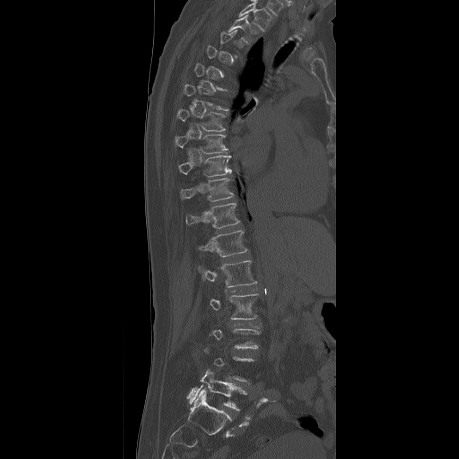
CT, spine · sagittal view · Bone window (WL 400, WW 1800) · 459x459 px
Each row gives a vertebra's box as x1, y1, x2, y2 in pixels: top-left corner, then bottom-right corner.
A vertebra gets a box only on the slices from the first to the last where its cross-section is at least a third of its largest; on a slice outside that range it gets none.
In this scan, the topmost labeled vertebra is T2 and the lowest is L5.
| vertebra | x1 | y1 | x2 | y2 |
|---|---|---|---|---|
| T2 | 228 | 16 | 259 | 44 |
| T7 | 177 | 109 | 226 | 131 |
| T8 | 174 | 135 | 228 | 153 |
| T9 | 179 | 155 | 230 | 176 |
| T10 | 180 | 178 | 233 | 201 |
| T11 | 185 | 203 | 240 | 228 |
| T12 | 196 | 230 | 248 | 257 |
| L1 | 197 | 260 | 257 | 287 |
| L2 | 201 | 291 | 257 | 319 |
| L3 | 202 | 318 | 259 | 348 |
| L5 | 186 | 371 | 246 | 410 |